Spine CT · sagittal reformat · image width 392 mm
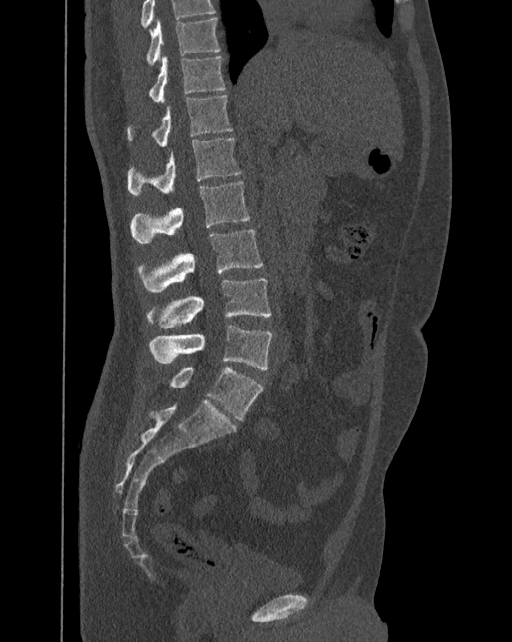

Boxes are (x1, y1, x2, y2) in pixels.
In this scan, the topmost labeled vertebra is T10 and the lowest is L6.
In these labels the spine has an L6, a sixth lumbar vertebra below L5.
T10: (146, 18, 220, 65)
T11: (149, 54, 225, 101)
T12: (127, 94, 233, 146)
L1: (128, 138, 240, 195)
L2: (130, 181, 251, 242)
L3: (138, 229, 263, 292)
L4: (146, 277, 271, 328)
L5: (149, 324, 272, 369)
L6: (170, 367, 263, 420)